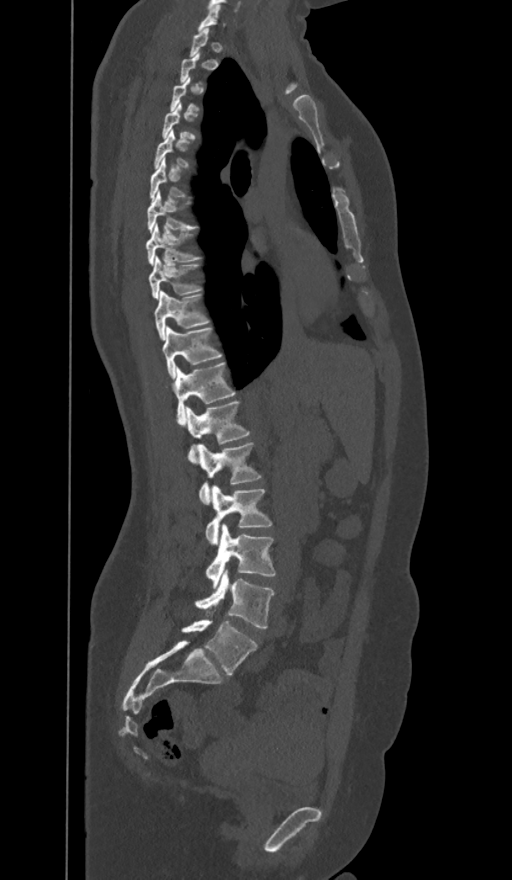
CT; sagittal view; 512x880 px
Boxes: x1:y1:x2:y2 in pixels.
Not every vertebra on this slice has a box: a vertebra is boxed only from the first to the last slice where its cross-section is at least a third of its largest, and this slice is outside that range for at least one of them.
These labels give the spine a sixth lumbar vertebra, L6, below L5.
Vertebra bounding boxes:
- C7: 198:4:221:30
- T6: 149:158:184:200
- T7: 148:190:195:232
- T8: 146:224:197:264
- T9: 149:258:197:298
- T10: 155:291:208:339
- T11: 161:327:221:377
- T12: 171:362:234:424
- L1: 185:400:248:461
- L2: 197:444:260:504
- L3: 205:485:271:545
- L4: 207:524:275:587
- L5: 196:569:274:629
- L6: 182:620:256:675